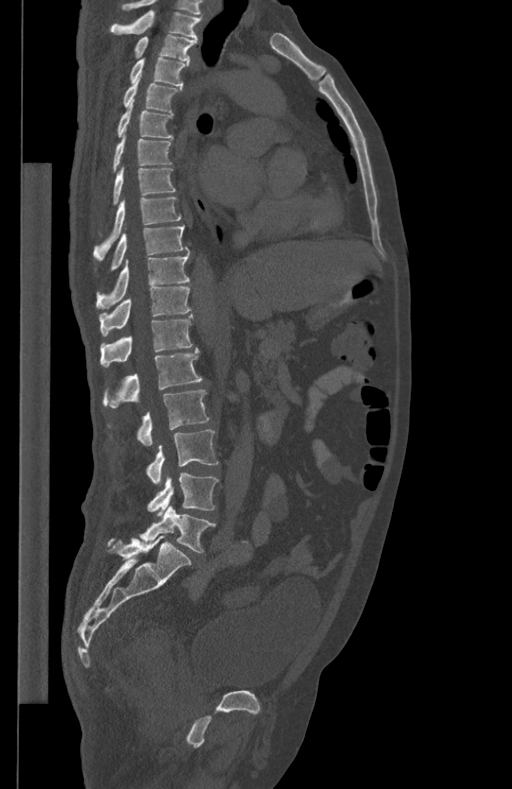 Spine CT. sagittal view. the image is 434 mm wide
Coordinates as <box>x1,y1,x2,y2</box>.
T1: <box>110,11,202,40</box>
T2: <box>134,35,197,60</box>
T3: <box>130,57,189,86</box>
T4: <box>123,79,181,112</box>
T5: <box>117,99,174,138</box>
T6: <box>112,134,171,171</box>
T7: <box>113,166,176,204</box>
T8: <box>94,196,181,259</box>
T9: <box>111,225,188,270</box>
T10: <box>95,252,189,309</box>
T11: <box>99,287,190,336</box>
T12: <box>100,314,193,366</box>
L1: <box>103,348,202,407</box>
L2: <box>137,389,209,445</box>
L3: <box>146,429,218,483</box>
L4: <box>147,472,218,515</box>
L5: <box>139,505,216,552</box>